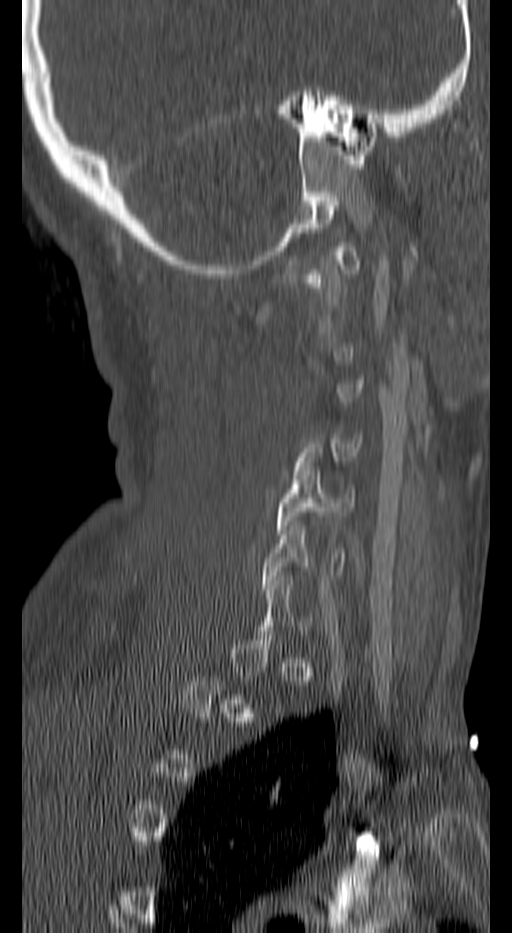

CT spine · sagittal reformat · 512x933 px. Columns x1, y1, x2, y2 give each box's top-left and bottom-right pixels.
Each vertebra is boxed only on the slices from the first to the last where its cross-section reaches a third of its largest, so a slice outside that range leaves it unboxed.
| vertebra | x1 | y1 | x2 | y2 |
|---|---|---|---|---|
| C4 | 297 | 434 | 359 | 465 |
| C5 | 276 | 466 | 353 | 534 |
| C6 | 264 | 521 | 346 | 589 |